Computed tomography of the spine — sagittal view — W/L 1800/400 HU — 512x714 px
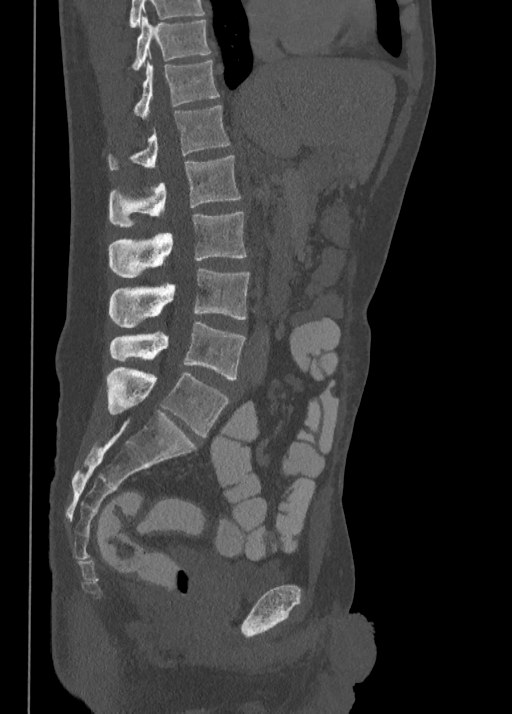
Bounding boxes as [x1, y1, x2, y2] in pixel coordinates. In this scan, the topmost labeled vertebra is T10 and the lowest is L5. The labeled vertebrae in this slice are: L5 at [107, 367, 228, 436], L4 at [109, 321, 245, 379], L3 at [109, 269, 249, 327], L2 at [108, 212, 246, 277], L1 at [108, 155, 240, 227], T12 at [108, 105, 230, 170], T11 at [133, 59, 218, 117], T10 at [131, 17, 211, 69].